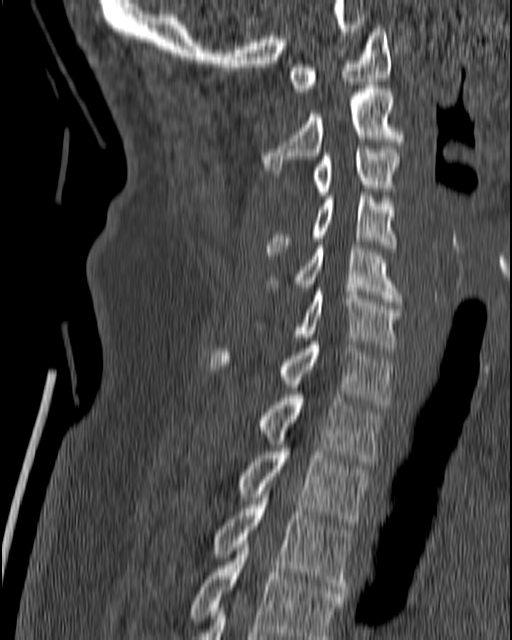 CT · sagittal view · bone-window reconstruction
<vertebrae><v name="T4" x1="189" y1="544" x2="344" y2="639"/><v name="T3" x1="211" y1="494" x2="353" y2="593"/><v name="T2" x1="237" y1="448" x2="370" y2="529"/><v name="T1" x1="257" y1="395" x2="384" y2="461"/><v name="C7" x1="211" y1="341" x2="395" y2="408"/><v name="C6" x1="254" y1="288" x2="401" y2="351"/><v name="C5" x1="268" y1="245" x2="401" y2="305"/><v name="C4" x1="265" y1="192" x2="395" y2="255"/><v name="C3" x1="311" y1="146" x2="398" y2="195"/><v name="C2" x1="262" y1="85" x2="403" y2="177"/><v name="C1" x1="288" y1="25" x2="391" y2="91"/></vertebrae>